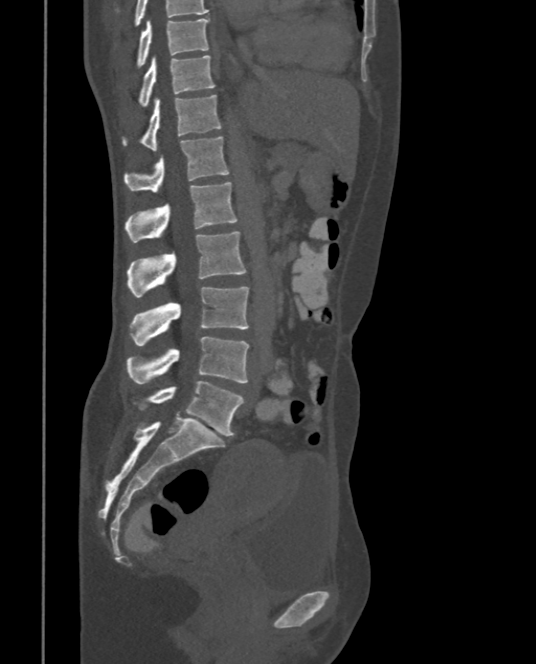
CT spine — sagittal view — W/L 1800/400 HU

Bounding boxes as [x1, y1, x2, y2] in pixel coordinates.
In this scan, the topmost labeled vertebra is T9 and the lowest is L5.
Vertebra bounding boxes:
- L5: [136, 381, 243, 435]
- L4: [127, 336, 249, 383]
- L3: [130, 286, 249, 346]
- L2: [127, 231, 246, 297]
- L1: [125, 181, 238, 242]
- T12: [125, 136, 229, 192]
- T11: [122, 94, 222, 150]
- T10: [138, 56, 215, 106]
- T9: [137, 18, 209, 67]